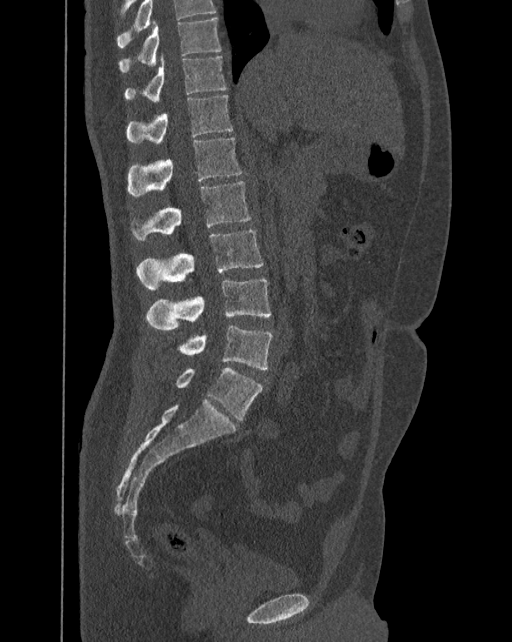

CT spine; sagittal view; Bone window (WL 400, WW 1800); 512x642 px
Labels in this scan begin with T10 at the top and end with L6 at the bottom.
These labels give the spine a sixth lumbar vertebra, L6, below L5.
<vertebrae><v name="L6" x1="175" y1="368" x2="263" y2="420"/><v name="L5" x1="177" y1="324" x2="272" y2="369"/><v name="L4" x1="146" y1="279" x2="271" y2="330"/><v name="L3" x1="136" y1="229" x2="263" y2="291"/><v name="L2" x1="132" y1="181" x2="251" y2="241"/><v name="L1" x1="128" y1="138" x2="242" y2="196"/><v name="T12" x1="127" y1="94" x2="233" y2="144"/><v name="T11" x1="124" y1="54" x2="226" y2="101"/><v name="T10" x1="119" y1="18" x2="221" y2="73"/></vertebrae>